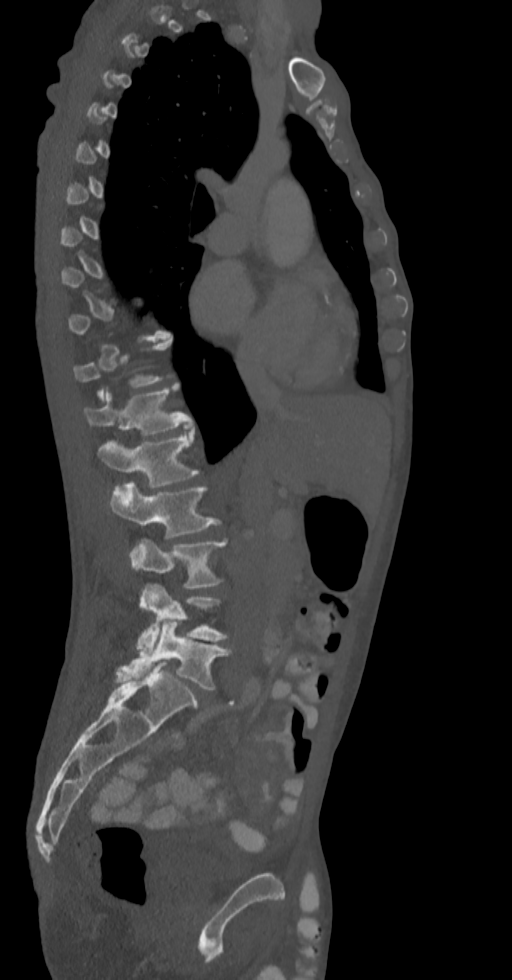
Computed tomography of the spine; sagittal view; the image is 336 mm wide; W/L 1800/400 HU

Boxes are given in columns x1, y1, x2, y2, the pixel coordinates of their top-left and bottom-right corners.
A vertebra gets a box only on the slices from the first to the last where its cross-section is at least a third of its largest; on a slice outside that range it gets none.
| vertebra | x1 | y1 | x2 | y2 |
|---|---|---|---|---|
| T12 | 84 | 384 | 192 | 435 |
| L1 | 97 | 431 | 198 | 487 |
| L2 | 109 | 482 | 220 | 538 |
| L3 | 131 | 539 | 227 | 589 |
| L4 | 137 | 584 | 227 | 654 |
| L5 | 116 | 622 | 230 | 689 |